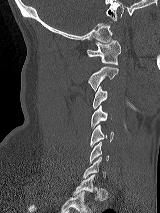
CT — sagittal view

Each vertebra is boxed only on the slices from the first to the last where its cross-section reaches a third of its largest, so a slice outside that range leaves it unboxed.
<vertebrae><v name="C1" x1="86" y1="41" x2="120" y2="64"/><v name="C2" x1="87" y1="66" x2="118" y2="91"/><v name="C3" x1="92" y1="86" x2="107" y2="108"/><v name="C4" x1="91" y1="106" x2="107" y2="128"/><v name="C5" x1="90" y1="125" x2="113" y2="146"/><v name="C6" x1="89" y1="142" x2="109" y2="163"/></vertebrae>